CT. sagittal reformat. scan covers 17 annotated vertebrae. 432 mm wide
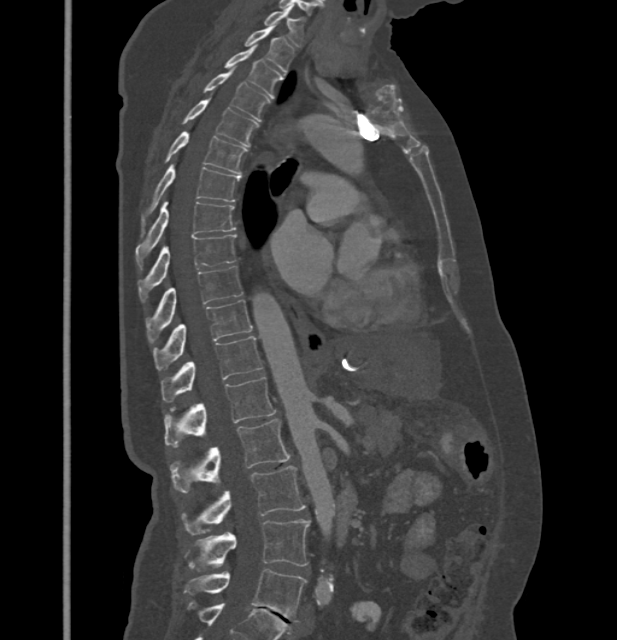
Boxes: x1:y1:x2:y2 in pixels. In these labels the thoracic vertebrae end at T11, so L1 follows T11. Vertebrae labeled: C7 at 264:7:303:46, T1 at 245:25:293:72, T2 at 224:46:283:96, T3 at 204:70:269:121, T4 at 183:99:257:146, T5 at 165:132:246:172, T6 at 141:165:240:231, T7 at 135:199:234:266, T8 at 139:235:236:302, T9 at 146:266:241:339, T10 at 153:300:252:369, T11 at 162:336:262:402, L1 at 164:377:275:446, L2 at 170:419:288:492, L3 at 181:466:305:535, L4 at 188:519:310:571, L5 at 184:569:306:622.